Spine CT. sagittal reformat. some of the image was removed or blocked out with constant pixels
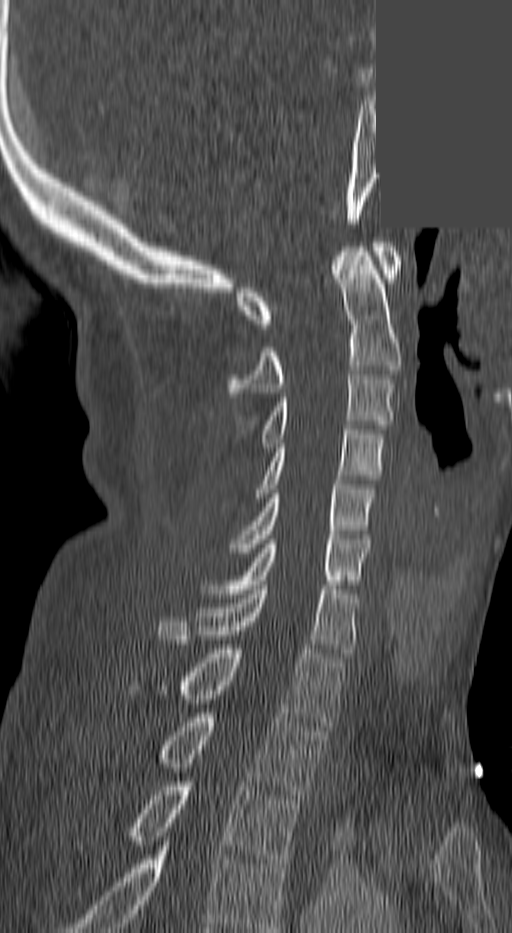

Boxes: x1 y1 x2 y2 (pixel coords, space-separated).
In this scan, the topmost labeled vertebra is C1 and the lowest is T3.
C1: 239 242 399 328
C2: 228 247 399 397
C3: 261 370 392 447
C4: 257 425 384 502
C5: 232 480 373 557
C6: 210 539 366 593
C7: 159 585 355 653
T1: 129 649 344 726
T2: 159 713 323 799
T3: 126 782 300 868